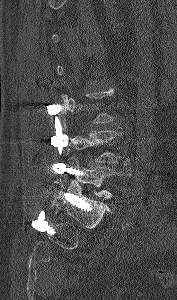

Computed tomography of the spine · sagittal view · W/L 1800/400 HU · 177x300 px

Boxes: x1:y1:x2:y2 in pixels.
Not every vertebra on this slice has a box: a vertebra is boxed only from the first to the last slice where its cross-section is at least a third of its largest, and this slice is outside that range for at least one of them.
Vertebra bounding boxes:
- L4: 68:131:130:170
- L5: 63:156:130:198